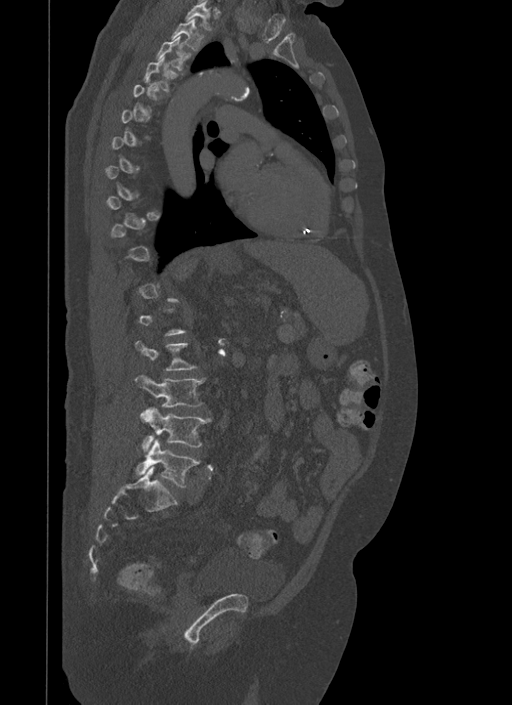

CT — sagittal view — the image is 500 mm wide — bone window

Each box given as x1,y1,x2,y2.
Each vertebra is boxed only on the slices from the first to the last where its cross-section reaches a third of its largest, so a slice outside that range leaves it unboxed.
| vertebra | x1 | y1 | x2 | y2 |
|---|---|---|---|---|
| T1 | 185 | 0 | 211 | 31 |
| T2 | 171 | 18 | 205 | 51 |
| T3 | 156 | 36 | 192 | 71 |
| T4 | 144 | 55 | 178 | 91 |
| L2 | 136 | 340 | 197 | 370 |
| L3 | 136 | 374 | 205 | 407 |
| L4 | 141 | 408 | 211 | 452 |
| L5 | 136 | 439 | 199 | 487 |